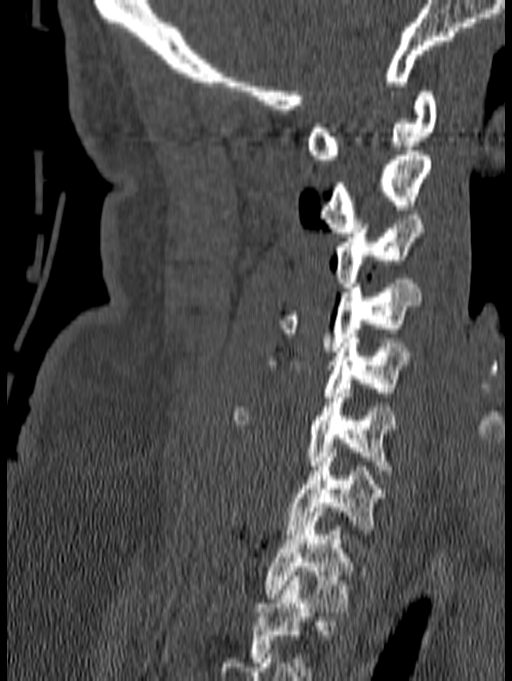
CT spine · sagittal view · 140 mm image width
Labels in this scan begin with C1 at the top and end with T1 at the bottom.
<vertebrae><v name="T1" x1="264" y1="507" x2="365" y2="612"/><v name="C7" x1="286" y1="448" x2="388" y2="543"/><v name="C6" x1="231" y1="389" x2="399" y2="474"/><v name="C5" x1="265" y1="338" x2="410" y2="401"/><v name="C4" x1="275" y1="279" x2="420" y2="351"/><v name="C3" x1="335" y1="215" x2="425" y2="287"/><v name="C2" x1="320" y1="151" x2="431" y2="232"/><v name="C1" x1="306" y1="91" x2="437" y2="164"/></vertebrae>